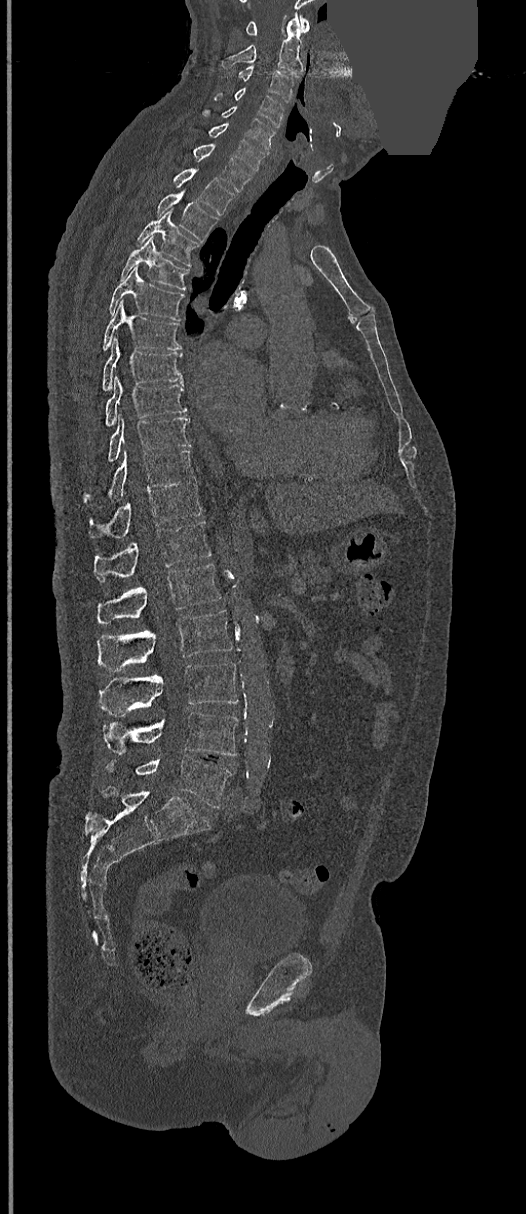
Spine CT · sagittal view · W/L 1800/400 HU · a region of this slice is masked with a uniform fill
Boxes: x1 y1 x2 y2 (pixel coords, space-separated).
C1: 245 16 309 35
C2: 223 13 303 76
C3: 238 66 293 102
C4: 215 87 284 126
C5: 204 106 274 150
C6: 208 123 267 170
C7: 193 144 253 192
T1: 175 169 234 213
T2: 156 190 218 242
T3: 137 209 199 266
T4: 120 237 189 289
T5: 110 266 183 320
T6: 103 301 180 350
T7: 103 339 182 390
T8: 106 376 186 426
T9: 109 413 190 460
T10: 84 450 194 502
T11: 88 480 201 538
T12: 94 521 212 582
L1: 97 564 220 623
L2: 97 610 232 672
L3: 100 661 237 716
L4: 103 711 237 756
L5: 106 756 232 808